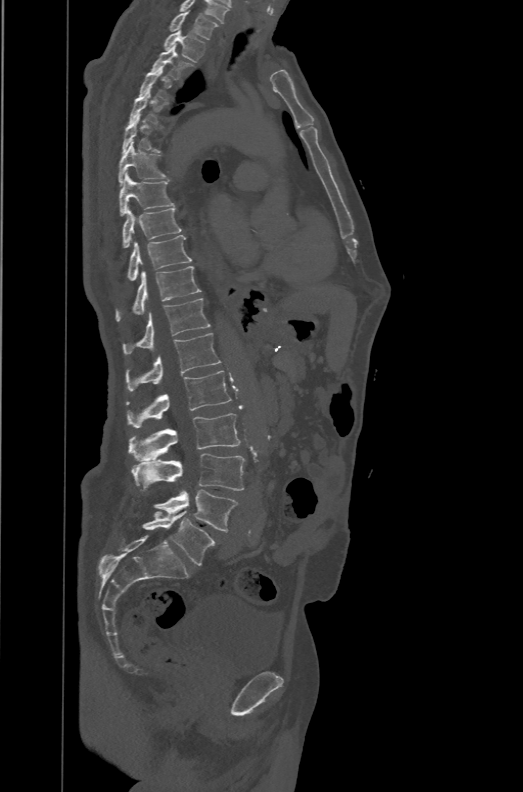

Spine CT; sagittal reformat; bone-window reconstruction
Each box given as x1,y1,x2,y2.
Not every vertebra on this slice has a box: a vertebra is boxed only from the first to the last slice where its cross-section is at least a third of its largest, and this slice is outside that range for at least one of them.
These labels give the spine a sixth lumbar vertebra, L6, below L5.
| vertebra | x1 | y1 | x2 | y2 |
|---|---|---|---|---|
| L6 | 142 | 511 | 215 | 565 |
| L5 | 153 | 490 | 238 | 531 |
| L4 | 131 | 453 | 244 | 490 |
| L3 | 129 | 413 | 240 | 461 |
| L2 | 126 | 371 | 231 | 428 |
| L1 | 126 | 333 | 220 | 391 |
| T12 | 123 | 298 | 210 | 354 |
| T11 | 116 | 266 | 201 | 321 |
| T10 | 127 | 235 | 191 | 281 |
| T9 | 123 | 208 | 181 | 248 |
| T8 | 119 | 172 | 176 | 215 |
| T7 | 118 | 142 | 166 | 184 |
| T6 | 122 | 115 | 162 | 153 |
| T5 | 128 | 90 | 167 | 125 |
| T3 | 150 | 44 | 194 | 80 |
| T2 | 164 | 29 | 205 | 61 |
| T1 | 169 | 10 | 219 | 40 |